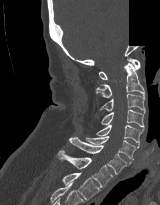

Spine computed tomography · sagittal view · 160 mm wide · bone-window reconstruction · 160x205 px · part of the scan has been removed (filled with constant black)
Each vertebra maps to its box as [x1, y1, x2, y2], the pixel coordinates of its top-left and bottom-right corners.
{"vertebrae":{"C1":[98,57,140,79],"C2":[95,63,145,97],"C3":[98,94,145,113],"C4":[100,109,144,129],"C5":[96,124,143,146],"C6":[86,136,138,160],"C7":[69,137,131,174],"T1":[56,150,113,187],"T2":[62,173,99,200]}}